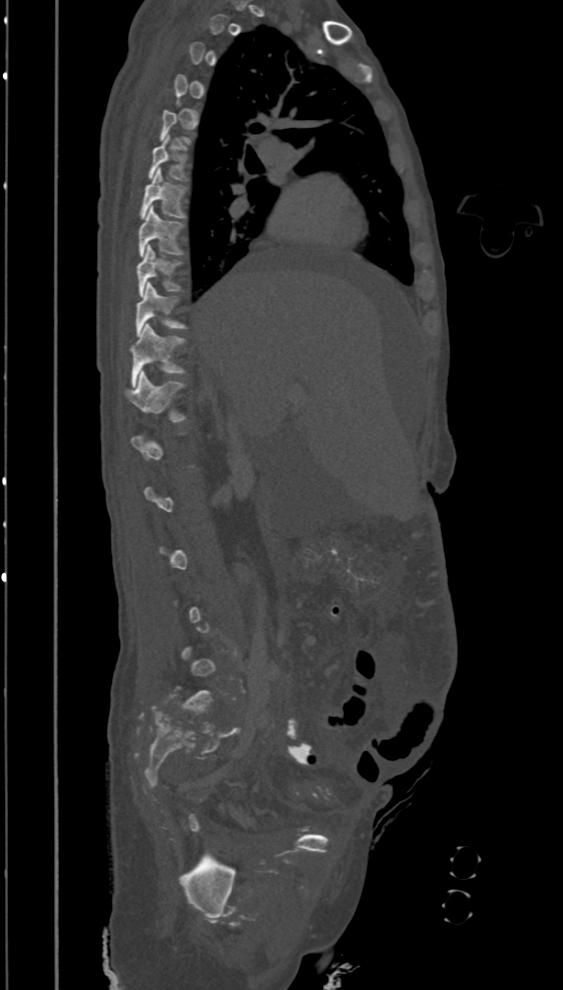

CT, spine — sagittal view — 394 mm wide
Boxes: x1 y1 x2 y2 (pixel coords, space-separated).
Not every vertebra on this slice has a box: a vertebra is boxed only from the first to the last slice where its cross-section is at least a third of its largest, and this slice is outside that range for at least one of them.
Vertebra bounding boxes:
- T6: 147 135 189 181
- T7: 140 167 187 218
- T8: 139 205 185 256
- T9: 137 245 183 296
- T10: 135 282 187 336
- T11: 129 323 186 387
- T12: 124 370 187 422